Computed tomography of the spine. 336 mm across the image. Sagittal slice 245/512. W/L 1800/400 HU. 512x709 px
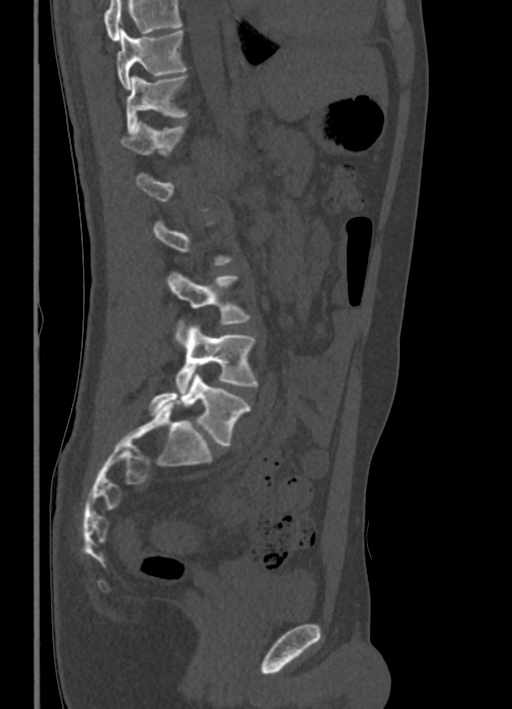
Boxes: x1:y1:x2:y2 in pixels.
A vertebra is boxed only from the first to the last slice where its cross-section is at least a third of its largest; slices outside that range leave it without a box.
No box is given to a vertebra that the top edge of the scan cuts off.
Vertebra bounding boxes:
- T10: 117:29:186:89
- T11: 126:74:188:133
- T12: 120:122:188:154
- L3: 167:271:250:339
- L4: 175:324:258:394
- L5: 149:373:250:445